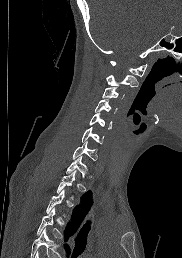 CT spine — image width 182 mm — sagittal reformat — 182x258 px

Coordinates as <box>x1,y1,x2,y2</box>. A vertebra cut off by the bottom edge of the scan is not labeled and has no box. 11 vertebrae labeled — C1 at <box>110,61,147,76</box>; C2 at <box>106,75,137,87</box>; C3 at <box>102,87,124,98</box>; C4 at <box>94,99,117,112</box>; C5 at <box>89,113,112,129</box>; C6 at <box>81,127,103,143</box>; C7 at <box>72,141,97,160</box>; T1 at <box>66,155,87,177</box>; T2 at <box>57,170,76,198</box>; T3 at <box>46,189,64,216</box>; T4 at <box>37,207,62,239</box>.